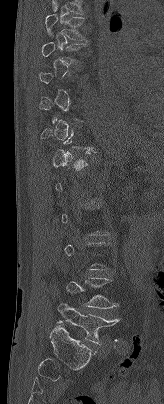 Spine CT; sagittal reformat; bone window

Box edges are left/top/right/bottom in pixels.
A vertebra gets a box only on the slices from the first to the last where its cross-section is at least a third of its largest; on a slice outside that range it gets none.
Vertebra bounding boxes:
- T7: left=45, top=5, right=85, bottom=39
- L4: left=66, top=278, right=118, bottom=308
- L5: left=57, top=303, right=119, bottom=344